Spine computed tomography — sagittal view — bone window — 512x594 px — the image is 442 mm wide
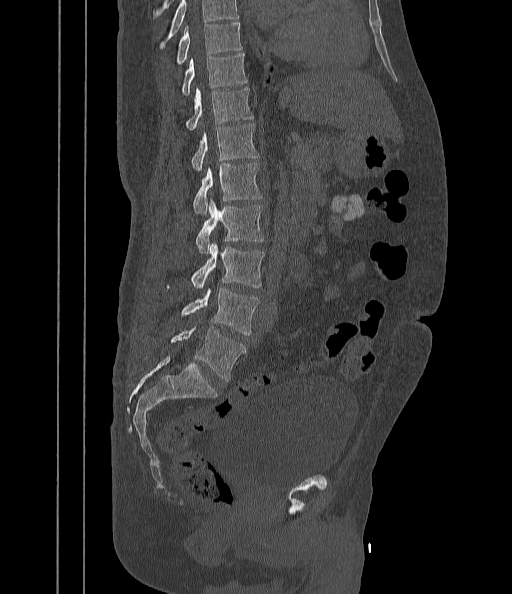
No box is given to a vertebra that the top edge of the scan cuts off.
<vertebrae><v name="L5" x1="170" y1="327" x2="246" y2="380"/><v name="L4" x1="181" y1="288" x2="260" y2="334"/><v name="L3" x1="167" y1="243" x2="264" y2="289"/><v name="L2" x1="196" y1="200" x2="264" y2="253"/><v name="L1" x1="193" y1="162" x2="262" y2="214"/><v name="T12" x1="191" y1="123" x2="258" y2="171"/><v name="T11" x1="185" y1="89" x2="253" y2="129"/><v name="T10" x1="181" y1="54" x2="247" y2="95"/><v name="T9" x1="176" y1="23" x2="242" y2="63"/></vertebrae>